Spine CT — Sagittal slice 289/512 — bone-window reconstruction — 461 mm image width
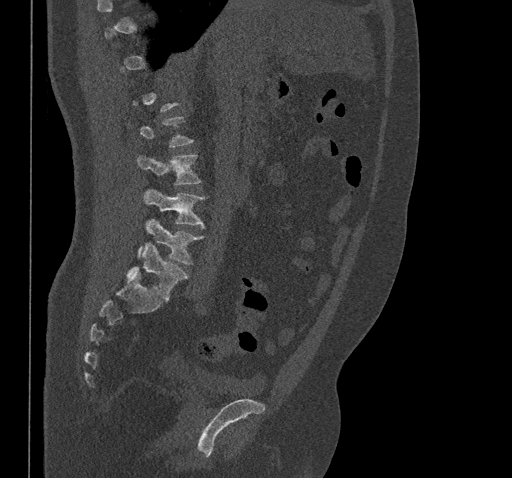

Bounding boxes as [x1, y1, x2, y2] in pixel coordinates. Each vertebra is boxed only on the slices from the first to the last where its cross-section reaches a third of its largest, so a slice outside that range leaves it unboxed. Vertebrae labeled: L2 at [138, 154, 202, 185], L3 at [144, 189, 205, 227], L4 at [138, 219, 204, 264], L5 at [127, 242, 188, 300].